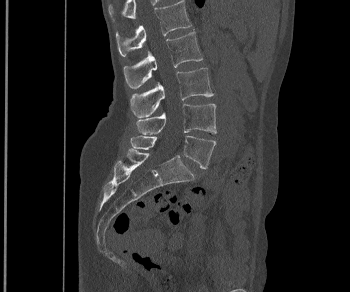

CT, spine · sagittal view

Boxes are given in columns x1, y1, x2, y2, the pixel coordinates of their top-left and bottom-right corners.
| vertebra | x1 | y1 | x2 | y2 |
|---|---|---|---|---|
| L1 | 116 | 0 | 191 | 57 |
| L2 | 123 | 29 | 202 | 89 |
| L3 | 130 | 68 | 213 | 117 |
| L4 | 136 | 103 | 216 | 134 |
| L5 | 130 | 135 | 215 | 169 |